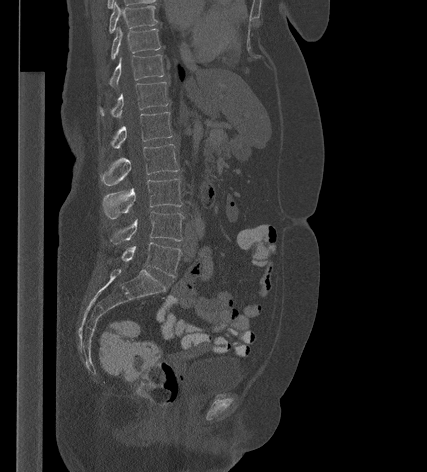
Spine CT · 427 mm across the image · sagittal reformat · W/L 1800/400 HU · 427x472 px
<vertebrae><v name="T9" x1="109" y1="2" x2="157" y2="33"/><v name="T10" x1="111" y1="28" x2="160" y2="59"/><v name="T11" x1="109" y1="54" x2="164" y2="87"/><v name="T12" x1="99" y1="82" x2="168" y2="117"/><v name="L1" x1="102" y1="112" x2="172" y2="150"/><v name="L2" x1="100" y1="144" x2="179" y2="185"/><v name="L3" x1="102" y1="178" x2="182" y2="219"/><v name="L4" x1="110" y1="212" x2="183" y2="244"/><v name="L5" x1="122" y1="242" x2="181" y2="277"/></vertebrae>